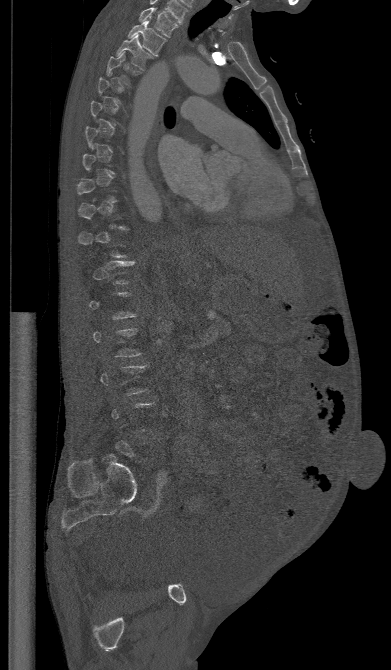
CT, spine. sagittal view. Bone window (WL 400, WW 1800)

Boxes: x1 y1 x2 y2 (pixel coords, space-separated).
A vertebra gets a box only on the slices from the first to the last where its cross-section is at least a third of its largest; on a slice outside that range it gets none.
Vertebra bounding boxes:
- T1: 139 7 178 37
- T2: 127 21 166 56
- T3: 116 35 153 70
- T4: 106 51 141 85